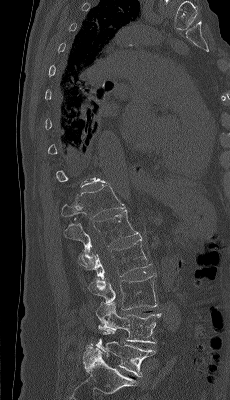 Spine CT — sagittal view — 230x400 px
Box values are [left, top, right, bottom] in pixels.
A vertebra is boxed only from the first to the last slice where its cross-section is at least a third of its largest; slices outside that range leave it without a box.
{"vertebrae":{"T12":[61,183,125,220],"L1":[64,209,140,264],"L2":[78,236,151,279],"L3":[88,273,157,310],"L4":[96,302,161,343],"L5":[88,329,155,377]}}